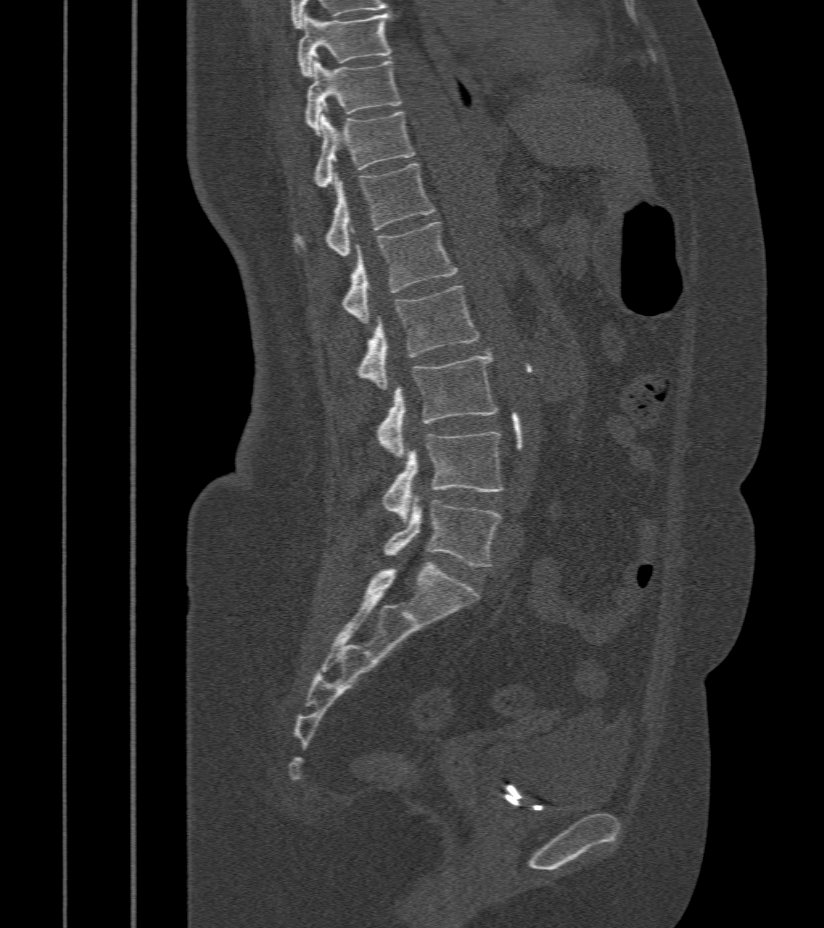

Spine CT. sagittal view. Bone window (WL 400, WW 1800)
Boxes are (x1, y1, x2, y2) in pixels.
L5: (383, 501, 501, 566)
L4: (381, 431, 503, 518)
L3: (377, 351, 500, 456)
L2: (356, 287, 479, 390)
L1: (341, 223, 456, 324)
T12: (295, 163, 435, 256)
T11: (312, 107, 414, 186)
T10: (304, 56, 403, 134)
T9: (298, 13, 393, 76)